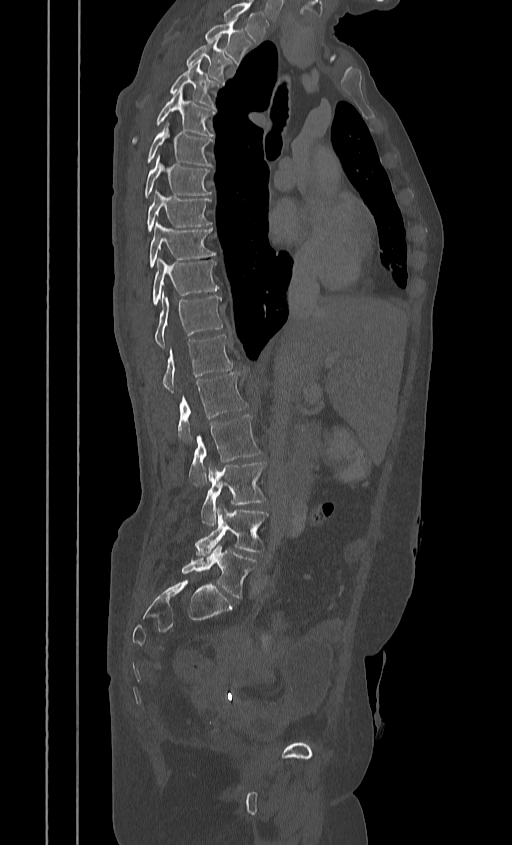 CT, spine; sagittal view; the image spans 384 mm across
In the table, x1 and y1 are a box's top-left corner and x2 and y2 its bottom-right corner, in pixels.
In this scan, the topmost labeled vertebra is T2 and the lowest is L5.
| vertebra | x1 | y1 | x2 | y2 |
|---|---|---|---|---|
| T2 | 204 | 20 | 252 | 64 |
| T3 | 157 | 37 | 233 | 83 |
| T4 | 141 | 60 | 220 | 108 |
| T5 | 132 | 89 | 216 | 146 |
| T6 | 145 | 124 | 213 | 166 |
| T7 | 144 | 157 | 211 | 198 |
| T8 | 146 | 192 | 212 | 231 |
| T9 | 149 | 223 | 215 | 267 |
| T10 | 152 | 259 | 219 | 306 |
| T11 | 153 | 296 | 224 | 347 |
| T12 | 140 | 335 | 232 | 392 |
| L1 | 177 | 372 | 248 | 442 |
| L2 | 189 | 415 | 261 | 486 |
| L3 | 200 | 461 | 267 | 524 |
| L4 | 194 | 505 | 268 | 556 |
| L5 | 181 | 545 | 257 | 598 |